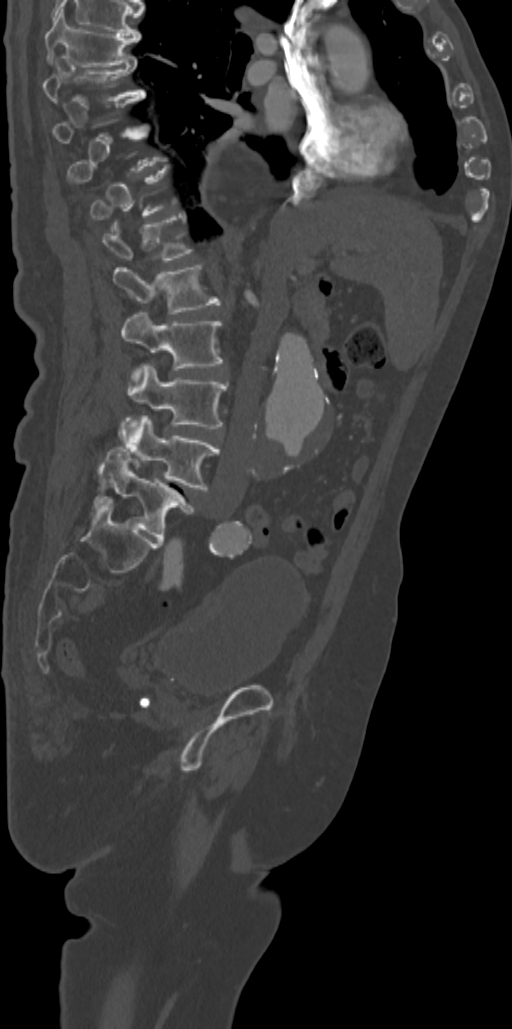 Spine computed tomography. sagittal reformat. W/L 1800/400 HU
Boxes below are [x1, y1, x2, y2] in pixels.
Each vertebra is boxed only on the slices from the first to the last where its cross-section reaches a third of its largest, so a slice outside that range leaves it unboxed.
{"vertebrae":{"L5":[94,447,193,540],"L4":[120,416,219,489],"L3":[127,364,226,428],"L2":[121,312,222,376],"L1":[112,265,220,314],"T12":[102,216,192,260],"T8":[42,61,144,102],"T7":[45,9,140,66]}}